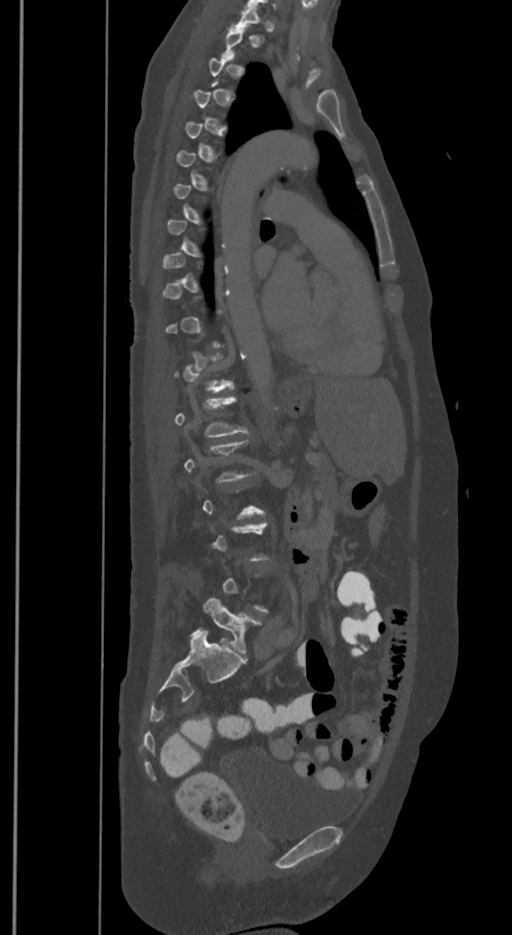
Computed tomography of the spine · sagittal view · W/L 1800/400 HU

Boxes below are [x1, y1, x2, y2] in pixels.
Each vertebra is boxed only on the slices from the first to the last where its cross-section reaches a third of its largest, so a slice outside that range leaves it unboxed.
In these labels the spine has an L6, a sixth lumbar vertebra below L5.
{"vertebrae":{"L1":[175,396,247,436],"L6":[192,596,261,653]}}